CT spine; the image spans 350 mm across; sagittal view; some of the image was removed or blocked out with constant pixels
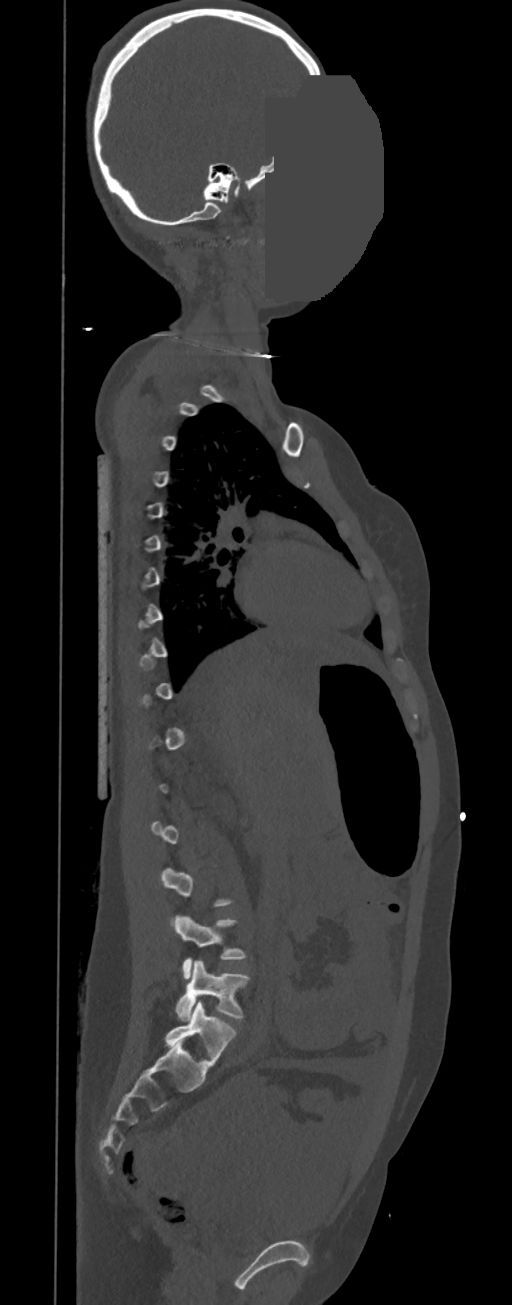
Boxes are (x1, y1, x2, y2) in pixels. Not every vertebra on this slice has a box: a vertebra is boxed only from the first to the last slice where its cross-section is at least a third of its largest, and this slice is outside that range for at least one of them. 2 vertebrae labeled — L4 at (174, 915, 246, 979); L5 at (175, 961, 250, 1019).